CT spine; image 228 mm wide; sagittal view; scan covers 9 annotated vertebrae
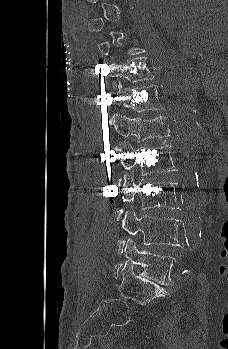

In the table, x1 and y1 are a box's top-left corner and x2 and y2 its bottom-right corner, in pixels.
A vertebra gets a box only on the slices from the first to the last where its cross-section is at least a third of its largest; on a slice outside that range it gets none.
| vertebra | x1 | y1 | x2 | y2 |
|---|---|---|---|---|
| T11 | 109 | 57 | 154 | 93 |
| T12 | 108 | 81 | 162 | 125 |
| L1 | 111 | 113 | 169 | 142 |
| L2 | 115 | 142 | 177 | 185 |
| L3 | 115 | 174 | 181 | 220 |
| L4 | 117 | 210 | 183 | 253 |
| L5 | 113 | 238 | 176 | 285 |